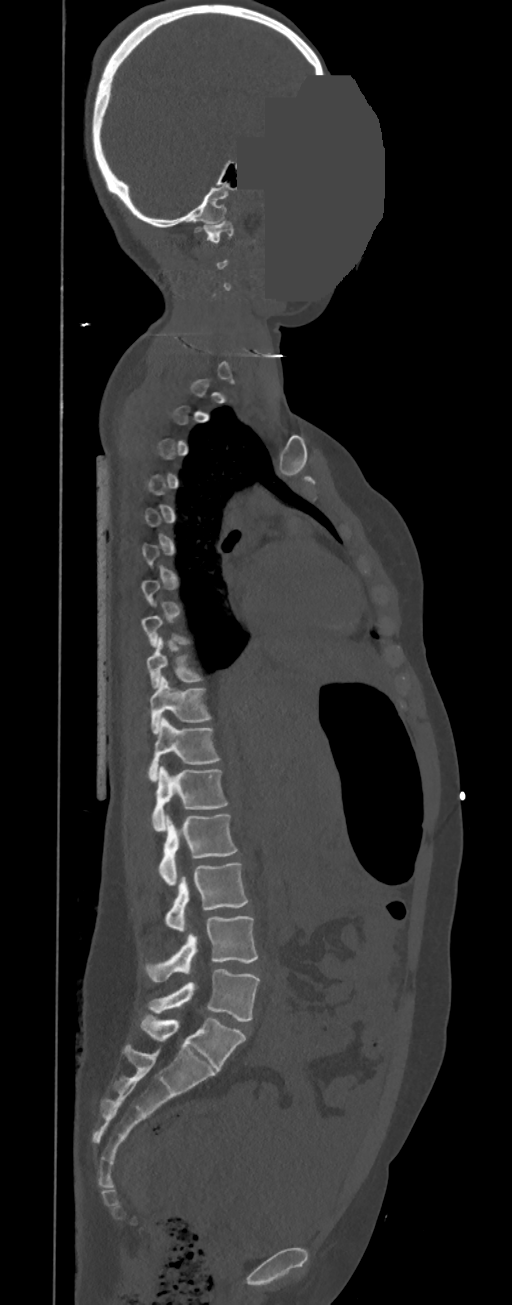

Computed tomography of the spine. sagittal reformat. bone-window reconstruction. the image spans 350 mm across. an area of the scan was removed and filled with constant pixels
Box edges are left/top/right/bottom in pixels.
Not every vertebra on this slice has a box: a vertebra is boxed only from the first to the last slice where its cross-section is at least a third of its largest, and this slice is outside that range for at least one of them.
In these labels the spine has no T12: the thoracic vertebrae end at T11, and L1 comes next.
L5: left=148, top=968, right=259, bottom=1022
L4: left=145, top=916, right=258, bottom=982
L3: left=165, top=862, right=249, bottom=931
L2: left=158, top=814, right=237, bottom=885
L1: left=152, top=766, right=228, bottom=831
T11: left=148, top=716, right=220, bottom=782
T10: left=150, top=675, right=211, bottom=734
T9: left=146, top=637, right=202, bottom=688
C1: left=203, top=221, right=233, bottom=243